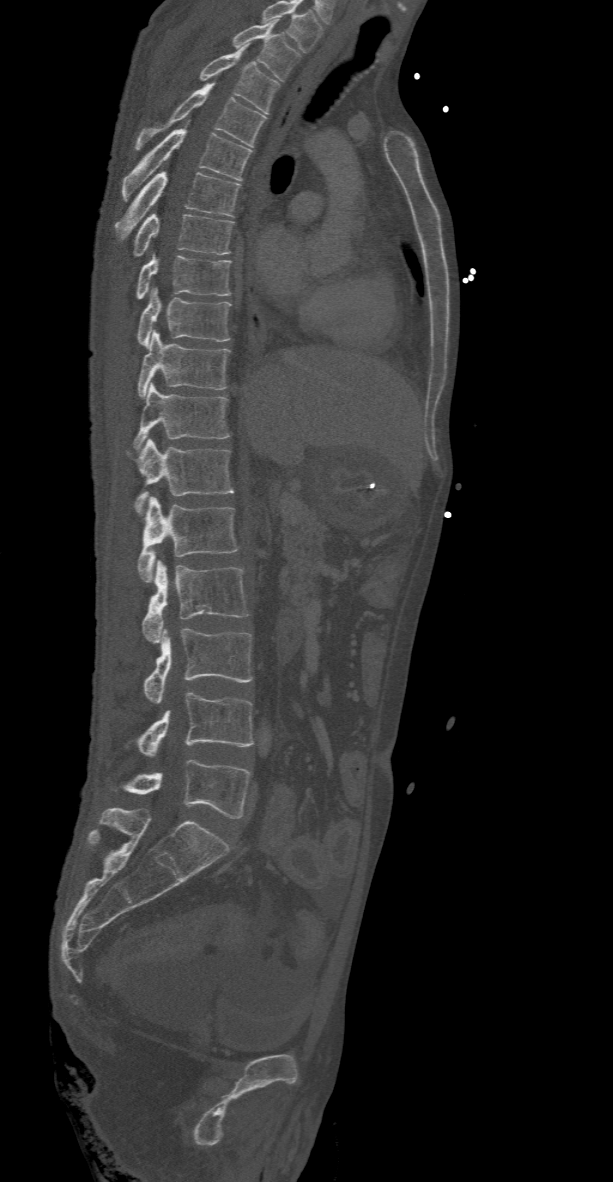 CT. sagittal view. 613x1182 px

The highest labeled vertebra in this scan is T2; the lowest is L5.
<vertebrae><v name="T2" x1="231" y1="18" x2="301" y2="81"/><v name="T3" x1="198" y1="42" x2="279" y2="113"/><v name="T4" x1="134" y1="82" x2="267" y2="150"/><v name="T5" x1="121" y1="129" x2="252" y2="200"/><v name="T6" x1="115" y1="171" x2="241" y2="240"/><v name="T7" x1="133" y1="214" x2="234" y2="256"/><v name="T8" x1="137" y1="252" x2="230" y2="298"/><v name="T9" x1="137" y1="287" x2="230" y2="348"/><v name="T10" x1="138" y1="331" x2="230" y2="398"/><v name="T11" x1="133" y1="382" x2="229" y2="450"/><v name="T12" x1="127" y1="437" x2="234" y2="512"/><v name="L1" x1="137" y1="496" x2="237" y2="583"/><v name="L2" x1="141" y1="561" x2="248" y2="643"/><v name="L3" x1="143" y1="628" x2="252" y2="703"/><v name="L4" x1="138" y1="692" x2="254" y2="756"/><v name="L5" x1="125" y1="759" x2="251" y2="818"/></vertebrae>